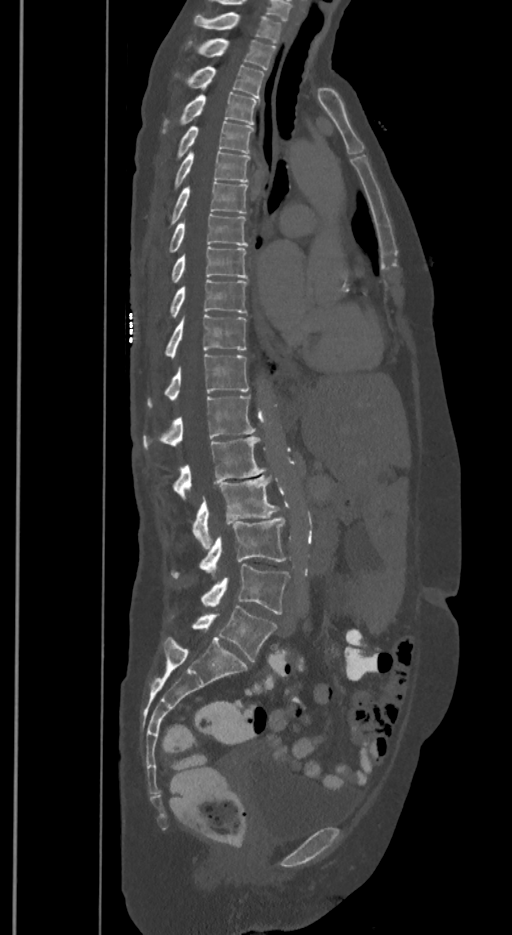 Computed tomography of the spine; sagittal view
Columns x1, y1, x2, y2 give each box's top-left and bottom-right pixels.
These labels give the spine a sixth lumbar vertebra, L6, below L5.
| vertebra | x1 | y1 | x2 | y2 |
|---|---|---|---|---|
| L6 | 193 | 606 | 277 | 661 |
| L5 | 202 | 563 | 288 | 614 |
| L4 | 172 | 516 | 285 | 577 |
| L3 | 193 | 475 | 278 | 549 |
| L2 | 174 | 436 | 265 | 499 |
| L1 | 143 | 396 | 255 | 448 |
| T12 | 148 | 354 | 249 | 406 |
| T11 | 165 | 315 | 246 | 357 |
| T10 | 171 | 279 | 246 | 316 |
| T9 | 172 | 246 | 246 | 282 |
| T8 | 169 | 213 | 246 | 252 |
| T7 | 171 | 182 | 247 | 223 |
| T6 | 175 | 151 | 249 | 186 |
| T5 | 178 | 121 | 253 | 156 |
| T4 | 181 | 92 | 258 | 125 |
| T3 | 188 | 65 | 264 | 98 |
| T2 | 199 | 38 | 275 | 69 |
| T1 | 194 | 12 | 281 | 42 |